CT spine · sagittal plane, index 280 · 512x744 px
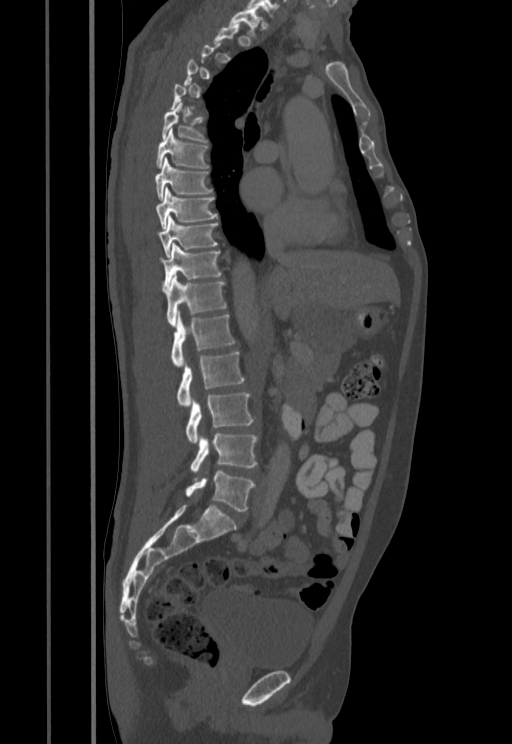

Boxes below are [x1, y1, x2, y2] in pixels.
Not every vertebra on this slice has a box: a vertebra is boxed only from the first to the last slice where its cross-section is at least a third of its largest, and this slice is outside that range for at least one of them.
{"vertebrae":{"T1":[229,8,262,37],"T6":[162,101,206,142],"T7":[156,128,208,168],"T8":[155,158,212,200],"T9":[155,187,217,228],"T10":[157,217,217,256],"T11":[160,243,221,287],"T12":[163,274,226,325],"L1":[171,311,234,368],"L2":[177,352,244,408],"L3":[186,392,254,443],"L4":[190,433,257,473],"L5":[186,471,254,511]}}